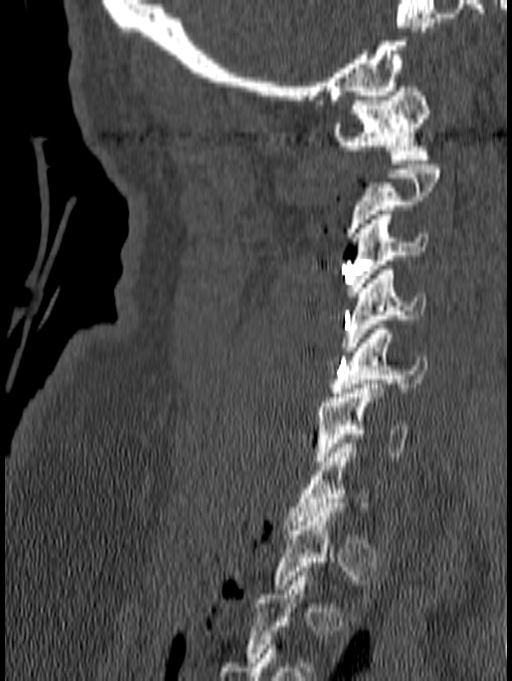
Spine computed tomography. sagittal view. bone-window reconstruction
Each vertebra is boxed only on the slices from the first to the last where its cross-section reaches a third of its largest, so a slice outside that range leaves it unboxed.
<vertebrae><v name="C7" x1="285" y1="443" x2="370" y2="525"/><v name="C6" x1="315" y1="384" x2="406" y2="465"/><v name="C5" x1="330" y1="325" x2="428" y2="397"/><v name="C4" x1="341" y1="265" x2="425" y2="351"/><v name="C3" x1="347" y1="210" x2="428" y2="296"/><v name="C1" x1="334" y1="82" x2="430" y2="164"/></vertebrae>